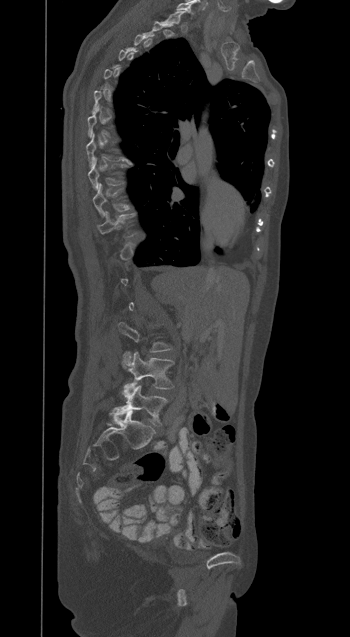
CT spine; image width 350 mm; sagittal view

Each box is [x1, y1, x2, y2] in pixels: top-left corner, then bottom-right corner.
Not every vertebra on this slice has a box: a vertebra is boxed only from the first to the last slice where its cross-section is at least a third of its largest, and this slice is outside that range for at least one of them.
{"vertebrae":{"L5":[117,384,167,425],"L4":[128,352,173,389]}}